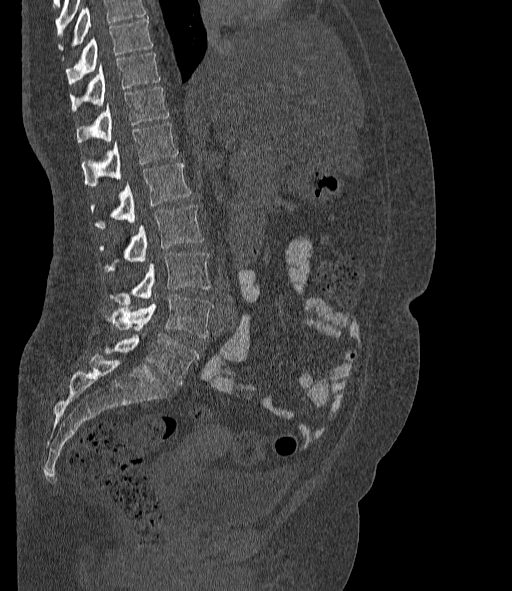

Spine computed tomography; image 377 mm wide; sagittal view
Boxes: x1:y1:x2:y2 in pixels.
Vertebrae that run past the top of the scan are left unlabeled.
In these labels the spine has an L6, a sixth lumbar vertebra below L5.
Vertebra bounding boxes:
- T10: 66:18:152:85
- T11: 70:53:160:110
- T12: 76:87:169:143
- L1: 81:124:178:186
- L2: 91:163:190:229
- L3: 100:205:203:271
- L4: 110:253:211:305
- L5: 106:295:213:337
- L6: 104:334:198:383